CT spine — sagittal reformat — Bone window (WL 400, WW 1800) — scan covers 8 annotated vertebrae
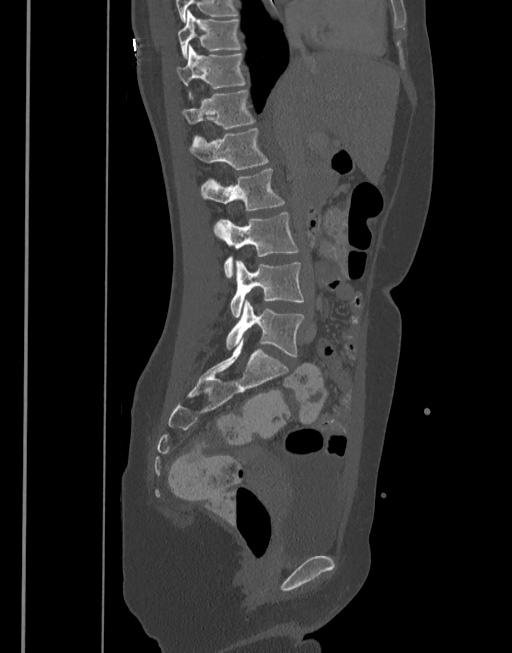
Boxes below are [x1, y1, x2, y2] in pixels.
{"vertebrae":{"L5":[226,301,304,357],"L4":[231,260,303,317],"L3":[214,213,299,279],"L2":[199,167,284,210],"L1":[189,128,268,170],"T12":[182,89,254,129],"T11":[176,44,246,88],"T10":[178,10,241,59]}}